Spine computed tomography · Sagittal slice 69/165 · bone window · 512x1410 px · a region of this slice is masked with a uniform fill
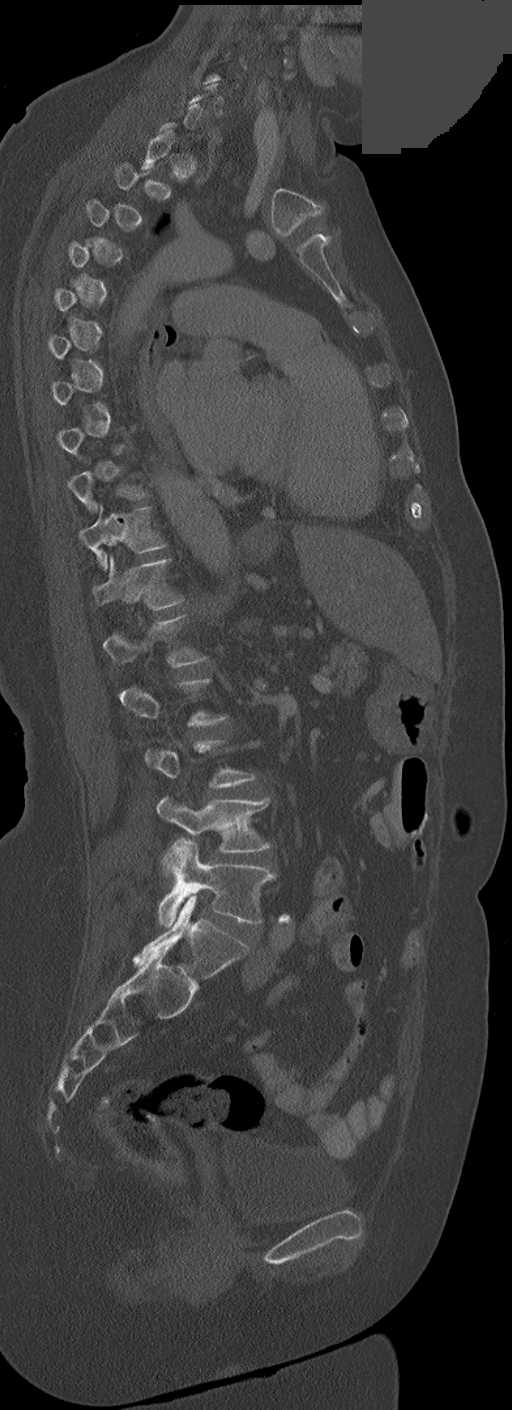

Box edges are left/top/right/bottom in pixels.
A vertebra is boxed only from the first to the last slice where its cross-section is at least a third of its largest; slices outside that range leave it without a box.
Vertebra bounding boxes:
- T10: left=80, top=506, right=164, bottom=568
- T11: left=92, top=557, right=182, bottom=609
- L4: left=157, top=797, right=270, bottom=853
- L5: left=157, top=838, right=274, bottom=926